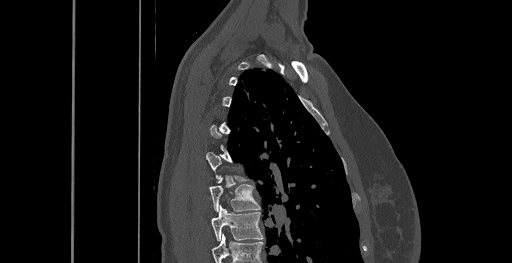 CT, spine; image 461 mm wide; sagittal view. Boxes: x1 y1 x2 y2 (pixel coords, space-separated). Each vertebra is boxed only on the slices from the first to the last where its cross-section reaches a third of its largest, so a slice outside that range leaves it unboxed. The highest labeled vertebra in this scan is C6; the lowest is T8. 2 vertebrae labeled — T7 at 208 179 260 211; T8 at 211 205 262 240.